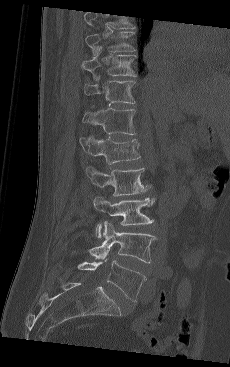 CT spine · sagittal view · 230x367 px

This scan's labels start at T9 at the top and end at L5 at the bottom.
<vertebrae><v name="T9" x1="85" y1="31" x2="136" y2="56"/><v name="T10" x1="81" y1="55" x2="137" y2="80"/><v name="T11" x1="84" y1="76" x2="135" y2="104"/><v name="T12" x1="82" y1="108" x2="136" y2="134"/><v name="L1" x1="79" y1="135" x2="140" y2="164"/><v name="L2" x1="85" y1="165" x2="149" y2="196"/><v name="L3" x1="93" y1="195" x2="155" y2="238"/><v name="L4" x1="88" y1="221" x2="156" y2="263"/><v name="L5" x1="78" y1="259" x2="146" y2="302"/></vertebrae>